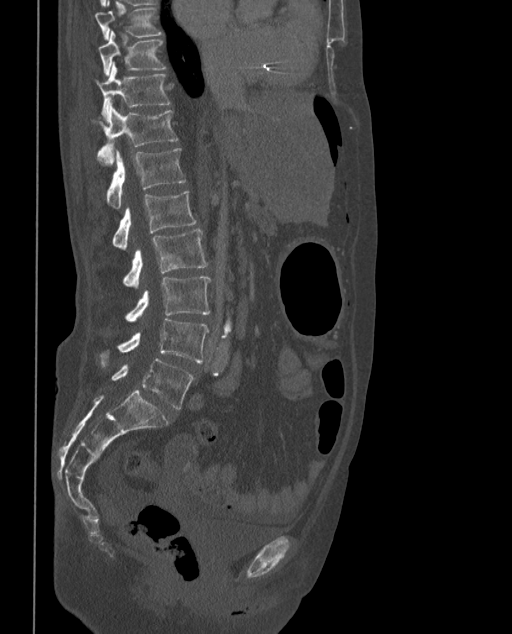 Computed tomography of the spine — sagittal reformat — Bone window (WL 400, WW 1800) — the image spans 373 mm across
Bounding boxes as [x1, y1, x2, y2] in pixel coordinates.
The labels name a sixth lumbar vertebra for this spine: L6, after L5.
Vertebra bounding boxes:
- T9: [95, 1, 162, 40]
- T10: [99, 31, 165, 76]
- T11: [96, 64, 170, 118]
- T12: [90, 105, 177, 165]
- L1: [107, 148, 185, 209]
- L2: [112, 190, 195, 250]
- L3: [123, 229, 207, 289]
- L4: [126, 277, 210, 323]
- L5: [100, 319, 209, 365]
- L6: [111, 358, 194, 409]